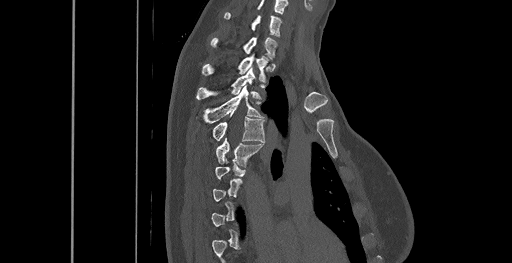

CT. sagittal view
A vertebra is boxed only from the first to the last slice where its cross-section is at least a third of its largest; slices outside that range leave it without a box.
This scan's labels start at C6 at the top and end at T8 at the bottom.
<vertebrae><v name="C6" x1="225" y1="12" x2="281" y2="36"/><v name="C7" x1="211" y1="37" x2="276" y2="58"/><v name="T1" x1="202" y1="54" x2="268" y2="80"/><v name="T2" x1="196" y1="67" x2="260" y2="99"/><v name="T3" x1="203" y1="86" x2="263" y2="123"/><v name="T4" x1="213" y1="111" x2="264" y2="142"/><v name="T5" x1="216" y1="137" x2="262" y2="166"/></vertebrae>